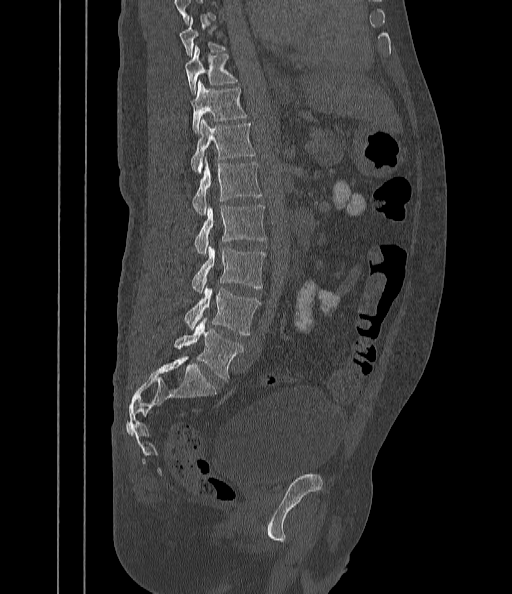

Spine CT. sagittal view. bone-window reconstruction. 442 mm image width
Each vertebra maps to its box as [x1, y1, x2, y2], the pixel coordinates of its top-left and bottom-right corners.
No box is given to a vertebra that the top edge of the scan cuts off.
{"vertebrae":{"T9":[179,19,227,56],"T10":[185,47,238,93],"T11":[191,80,247,133],"T12":[191,120,255,171],"L1":[192,162,262,214],"L2":[195,205,267,254],"L3":[192,245,265,293],"L4":[184,287,261,334],"L5":[174,318,243,380]}}